CT spine; sagittal view; 227 mm across the image; 768x1012 px; scan covers 9 annotated vertebrae
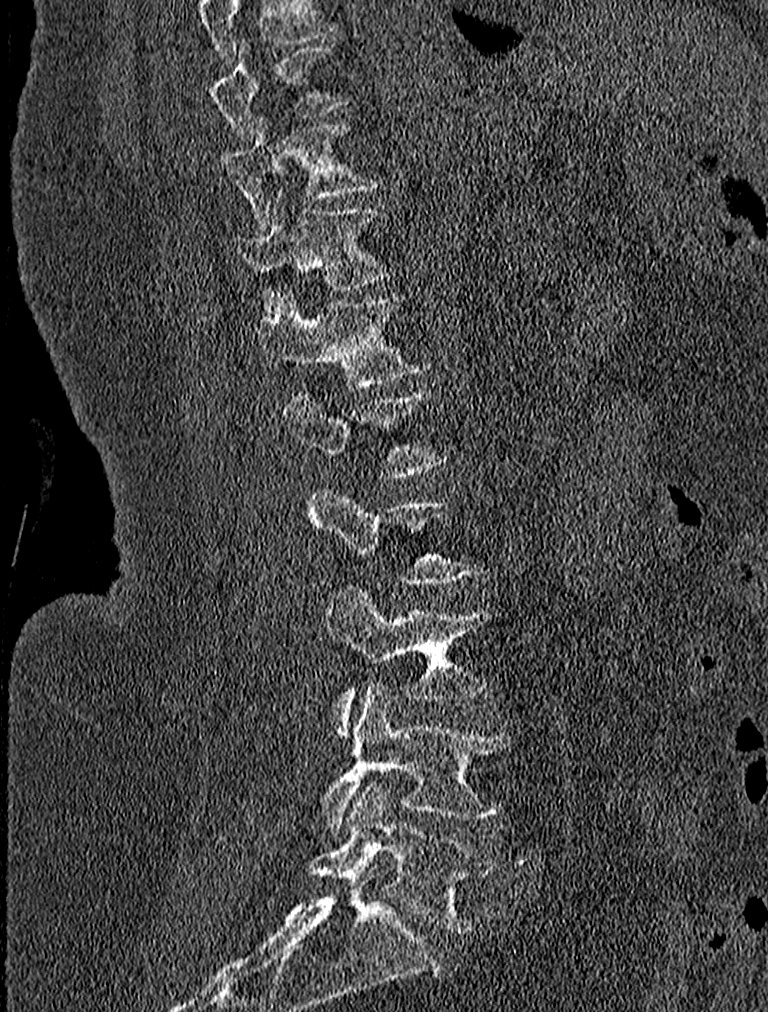 Boxes are given in columns x1, y1, x2, y2, the pixel coordinates of their top-left and bottom-right corners.
This scan's labels start at T9 at the top and end at L5 at the bottom.
| vertebra | x1 | y1 | x2 | y2 |
|---|---|---|---|---|
| T9 | 212 | 38 | 353 | 141 |
| T10 | 222 | 116 | 380 | 223 |
| T11 | 235 | 189 | 394 | 317 |
| T12 | 260 | 288 | 434 | 389 |
| L1 | 283 | 385 | 444 | 476 |
| L2 | 310 | 484 | 482 | 587 |
| L3 | 327 | 586 | 486 | 734 |
| L4 | 320 | 685 | 512 | 833 |
| L5 | 307 | 783 | 495 | 931 |